Spine CT — sagittal view — bone window — 512x634 px — 10 vertebrae labeled in this scan
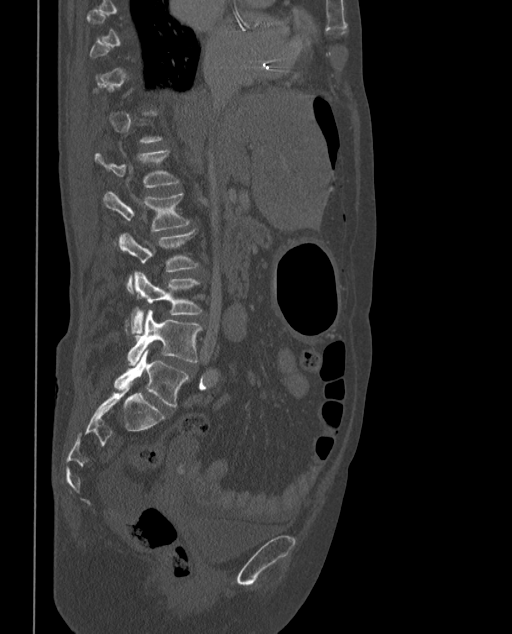

Boxes: x1:y1:x2:y2 in pixels.
A vertebra is boxed only from the first to the last slice where its cross-section is at least a third of its largest; slices outside that range leave it without a box.
In these labels the spine has an L6, a sixth lumbar vertebra below L5.
L1: 95:151:179:187
L2: 103:191:190:231
L3: 118:230:198:293
L4: 127:272:201:334
L5: 127:310:201:365
L6: 114:350:188:407